CT spine — sagittal reformat — 160 mm wide — 512x696 px
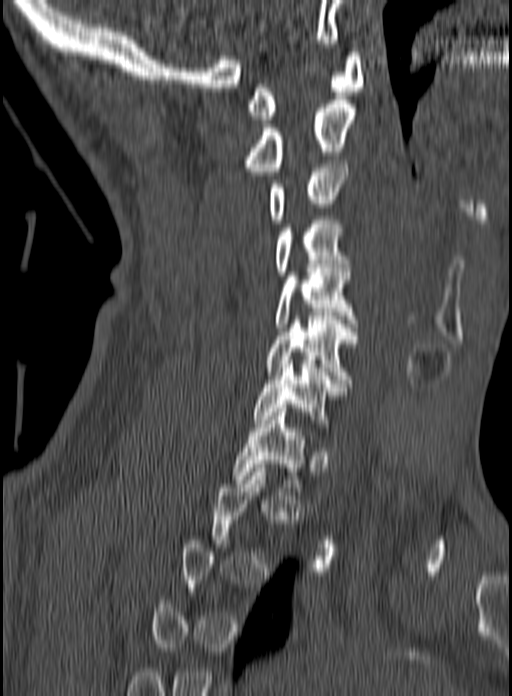 Not every vertebra on this slice has a box: a vertebra is boxed only from the first to the last slice where its cross-section is at least a third of its largest, and this slice is outside that range for at least one of them.
<vertebrae><v name="C1" x1="246" y1="52" x2="363" y2="119"/><v name="C2" x1="244" y1="100" x2="355" y2="171"/><v name="C3" x1="267" y1="160" x2="347" y2="223"/><v name="C4" x1="273" y1="216" x2="349" y2="275"/><v name="C5" x1="276" y1="268" x2="355" y2="331"/><v name="C6" x1="267" y1="316" x2="359" y2="383"/><v name="C7" x1="254" y1="364" x2="346" y2="423"/><v name="T1" x1="231" y1="408" x2="306" y2="491"/></vertebrae>